Spine computed tomography — sagittal reformat — bone window — 392x1568 px — image 206 mm wide — part of the image has been replaced by a constant value
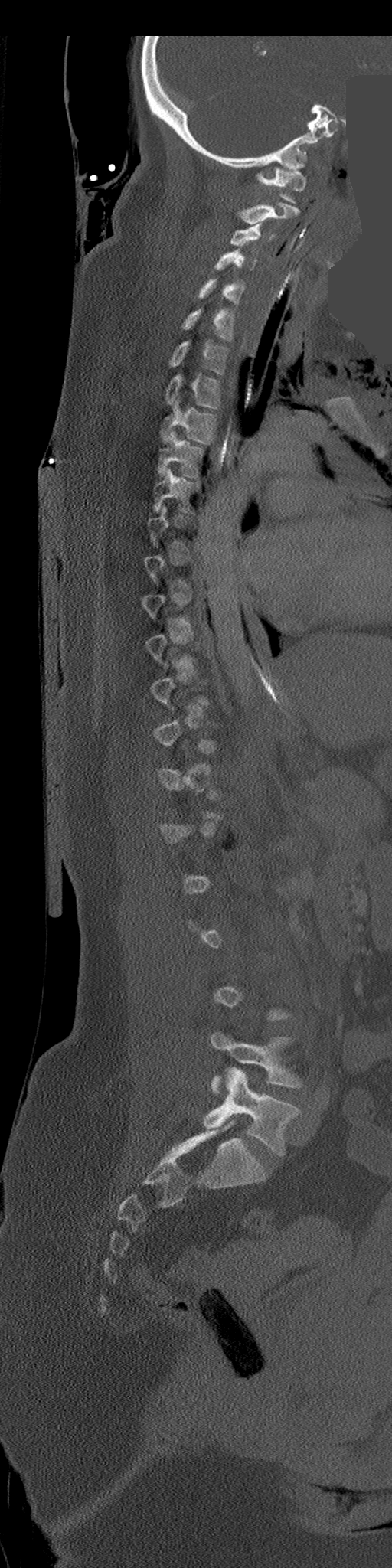 Bounding boxes as [x1, y1, x2, y2] in pixel coordinates. Each vertebra is boxed only on the slices from the first to the last where its cross-section reaches a third of its largest, so a slice outside that range leaves it unboxed. The labeled vertebrae in this slice are: C1 at [256, 168, 306, 203], C2 at [237, 202, 301, 224], C3 at [230, 223, 273, 246], C4 at [214, 248, 256, 271], C5 at [197, 279, 243, 306], C6 at [181, 309, 234, 341], C7 at [168, 341, 228, 374], T1 at [164, 374, 220, 409], T2 at [161, 400, 217, 443], T3 at [158, 430, 204, 478], T4 at [153, 469, 200, 511], L4 at [212, 1032, 302, 1094], L5 at [204, 1068, 299, 1155].